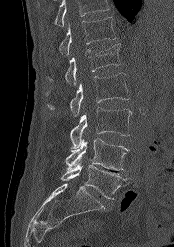
Computed tomography of the spine — sagittal view — the image is 174 mm wide
In the table, x1 and y1 are a box's top-left corner and x2 and y2 its bottom-right corner, in pixels.
Vertebrae that run past the top of the scan are left unlabeled.
| vertebra | x1 | y1 | x2 | y2 |
|---|---|---|---|---|
| L5 | 61 | 162 | 126 | 199 |
| L4 | 65 | 138 | 129 | 170 |
| L3 | 69 | 107 | 131 | 148 |
| L2 | 45 | 73 | 129 | 116 |
| L1 | 47 | 44 | 121 | 84 |
| T12 | 59 | 17 | 116 | 55 |